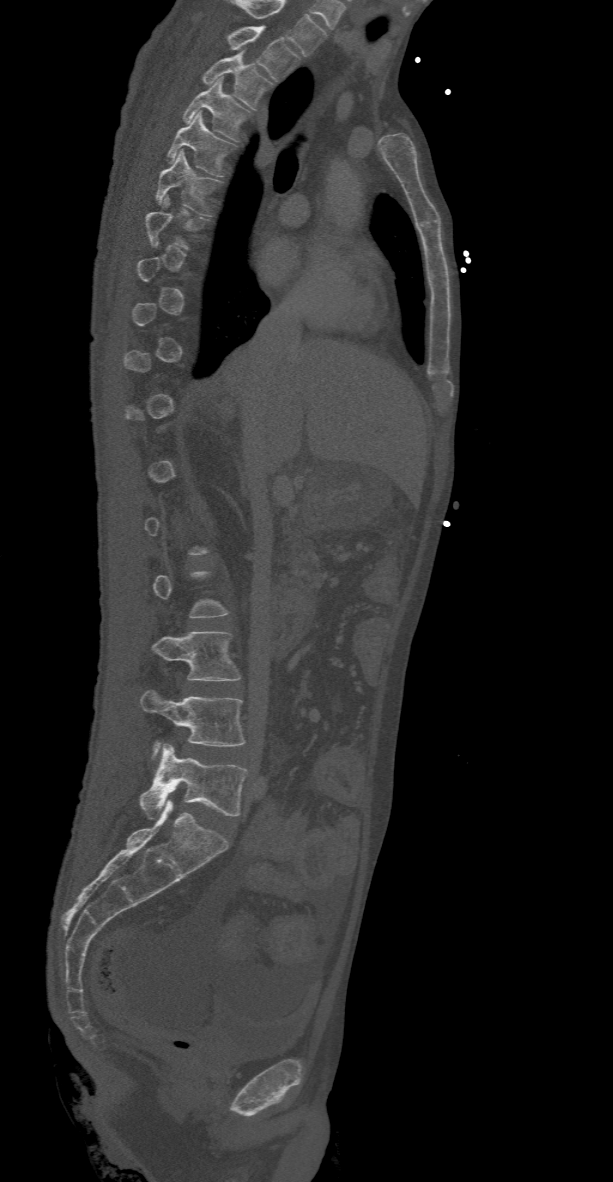

Computed tomography of the spine — sagittal view — W/L 1800/400 HU. Boxes: x1 y1 x2 y2 (pixel coords, space-separated). A vertebra is boxed only from the first to the last slice where its cross-section is at least a third of its largest; slices outside that range leave it without a box. This scan's labels start at T2 at the top and end at L5 at the bottom. The labeled vertebrae in this slice are: T2 at 228 26 298 80, T3 at 201 51 272 109, T4 at 183 77 251 140, T5 at 167 112 233 176, T6 at 155 151 218 215, L3 at 153 632 241 680, L4 at 140 691 246 758, L5 at 140 744 247 818.